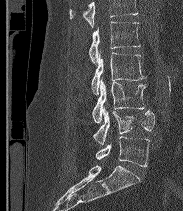

CT spine — sagittal view — bone-window reconstruction — the image is 183 mm wide — 183x211 px

Coordinates as <box>x1,y1,x2,y2</box>.
A vertebra cut off by the top edge of the scan is not labeled and has no box.
These labels give the spine a sixth lumbar vertebra, L6, below L5.
Vertebra bounding boxes:
- L2: <box>89,21,140,63</box>
- L3: <box>91,50,146,94</box>
- L4: <box>92,78,146,123</box>
- L5: <box>93,107,154,145</box>
- L6: <box>95,136,149,166</box>